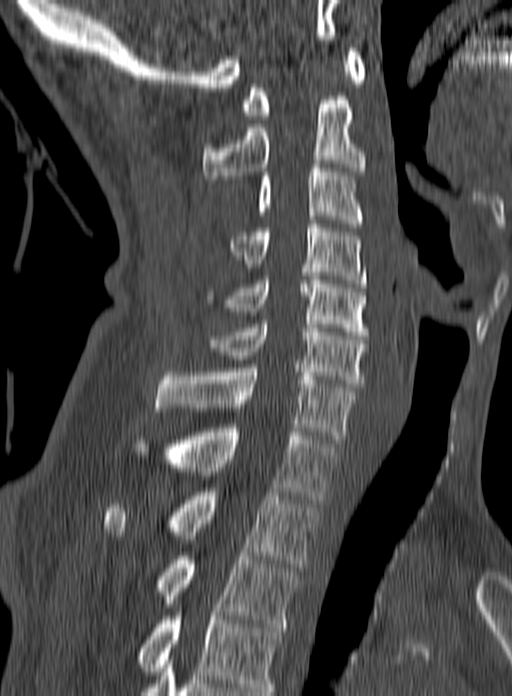 Computed tomography of the spine. sagittal view. Bone window (WL 400, WW 1800). 512x696 px

Each vertebra maps to its box as [x1, y1, x2, y2], the pixel coordinates of its top-left and bottom-right corners.
The highest labeled vertebra in this scan is C1; the lowest is T3.
{"vertebrae":{"T3":[158,552,301,627],"T2":[104,492,317,567],"T1":[131,428,339,503],"C7":[155,368,355,443],"C6":[209,320,369,387],"C5":[207,276,368,335],"C4":[230,224,367,287],"C3":[257,164,362,227],"C2":[203,96,365,179],"C1":[241,48,366,119]}}